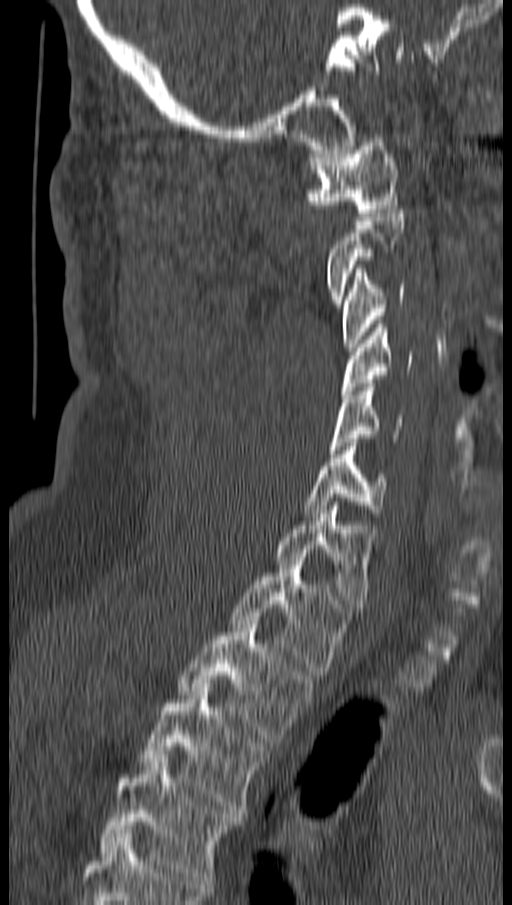
Spine computed tomography; sagittal reformat; bone-window reconstruction. Each box given as x1,y1,x2,y2.
Not every vertebra on this slice has a box: a vertebra is boxed only from the first to the last slice where its cross-section is at least a third of its largest, and this slice is outside that range for at least one of them.
Vertebra bounding boxes:
- C1: x1=311, y1=138, x2=399, y2=216
- C3: x1=342, y1=265, x2=405, y2=351
- C4: x1=339, y1=324, x2=412, y2=398
- C5: x1=330, y1=383, x2=401, y2=453
- C6: x1=304, y1=442, x2=386, y2=517
- C7: x1=276, y1=502, x2=370, y2=607
- T1: x1=232, y1=557, x2=348, y2=675
- T2: x1=178, y1=620, x2=313, y2=742
- T3: x1=140, y1=683, x2=266, y2=813
- T4: x1=102, y1=755, x2=237, y2=880